Computed tomography of the spine — Sagittal slice 314/512 — W/L 1800/400 HU — 13 vertebrae labeled in this scan
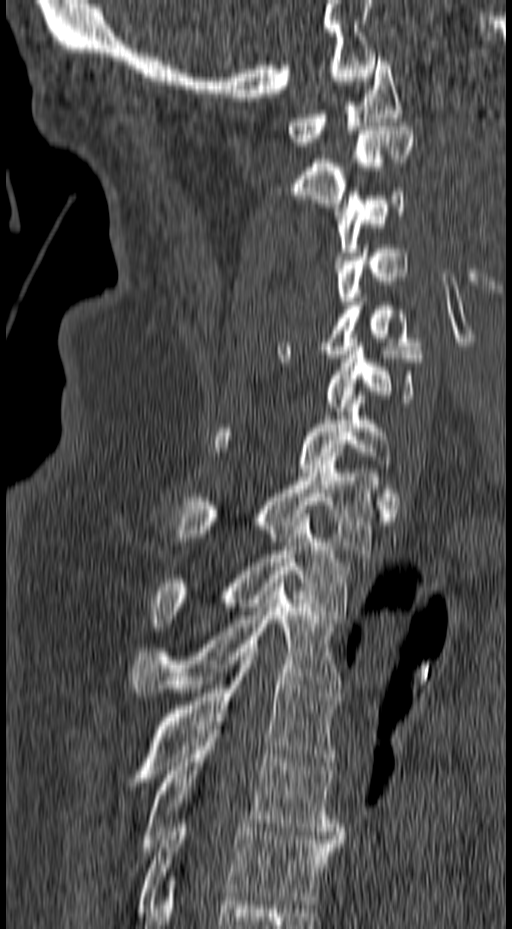
Boxes: x1 y1 x2 y2 (pixel coords, space-separated).
Vertebra bounding boxes:
- C1: 288 57 401 146
- C2: 275 122 414 207
- C3: 334 188 404 260
- C4: 335 245 408 305
- C5: 277 294 426 358
- C6: 324 346 423 415
- C7: 210 391 393 472
- T1: 174 461 376 553
- T2: 151 514 349 627
- T3: 132 579 343 696
- T4: 125 648 340 786
- T5: 143 726 343 851
- T6: 138 819 343 912